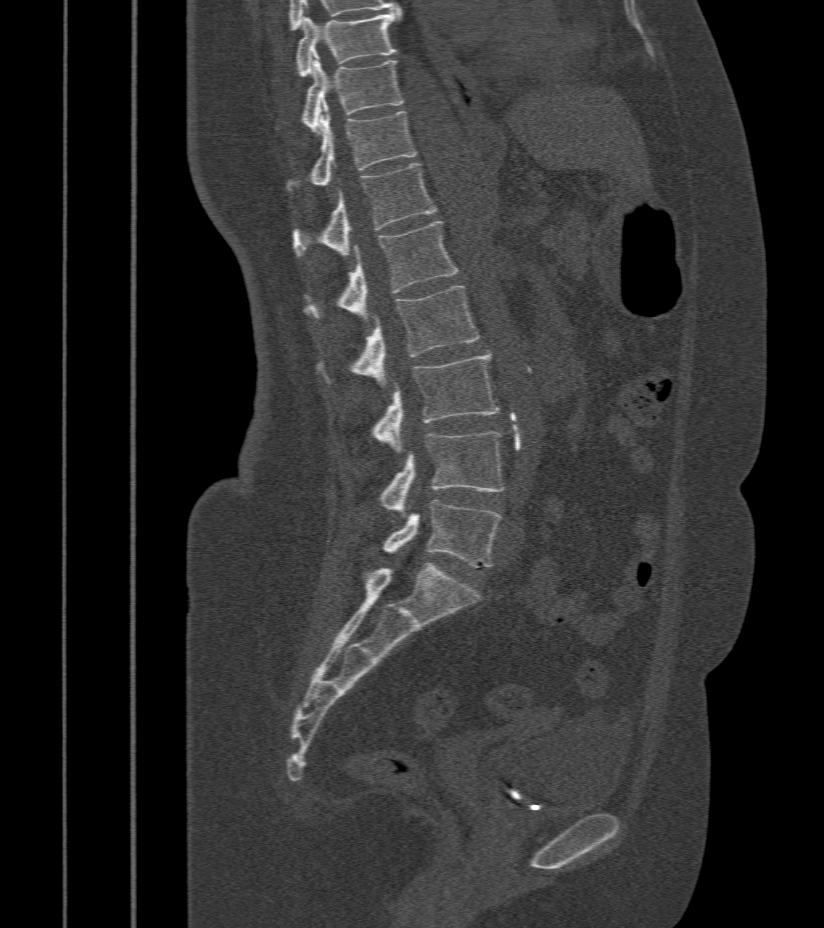

CT spine; sagittal view; 824x928 px
Boxes: x1:y1:x2:y2 in pixels. 9 vertebrae labeled — L5 at 383:501:501:566; L4 at 380:431:504:514; L3 at 372:353:500:452; L2 at 320:287:479:386; L1 at 306:221:459:322; T12 at 295:163:437:256; T11 at 288:105:417:188; T10 at 303:56:403:132; T9 at 296:11:401:78.